CT, spine · sagittal view · part of the image has been replaced by a constant value
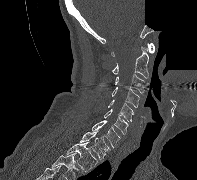 Box edges are left/top/right/bottom in pixels. 9 vertebrae labeled — C1 at left=111, top=43, right=154, bottom=56; C2 at left=112, top=46, right=148, bottom=78; C3 at left=115, top=74, right=144, bottom=93; C4 at left=111, top=86, right=139, bottom=107; C5 at left=108, top=100, right=133, bottom=121; C6 at left=104, top=109, right=128, bottom=134; C7 at left=92, top=120, right=120, bottom=148; T1 at left=80, top=129, right=109, bottom=159; T2 at left=66, top=142, right=99, bottom=172.